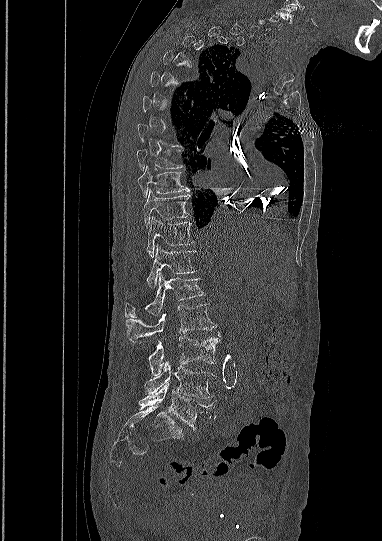

CT spine. sagittal view. bone window
Box values are [left, top, right, bottom] in pixels.
A vertebra is boxed only from the first to the last slice where its cross-section is at least a third of its largest; slices outside that range leave it without a box.
{"vertebrae":{"L5":[139,382,213,429],"L4":[145,362,213,398],"L3":[149,336,219,376],"L2":[126,304,213,342],"L1":[125,272,203,317],"T12":[147,245,195,287],"T11":[147,216,193,257],"T10":[143,190,189,227],"T9":[137,167,189,197],"T8":[136,148,182,169]}}